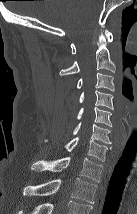 CT; sagittal view; image 137 mm wide

Each box is [x1, y1, x2, y2] in pixels: top-left corner, then bottom-right corner.
In this scan, the topmost labeled vertebra is C1 and the lowest is T2.
{"vertebrae":{"C1":[70,30,113,54],"C2":[59,30,115,76],"C3":[77,73,114,91],"C4":[79,90,113,109],"C5":[77,107,112,126],"C6":[72,122,111,144],"C7":[44,137,112,161],"T1":[31,157,102,182],"T2":[23,178,97,203]}}